CT, spine — sagittal reformat — scan covers 16 annotated vertebrae
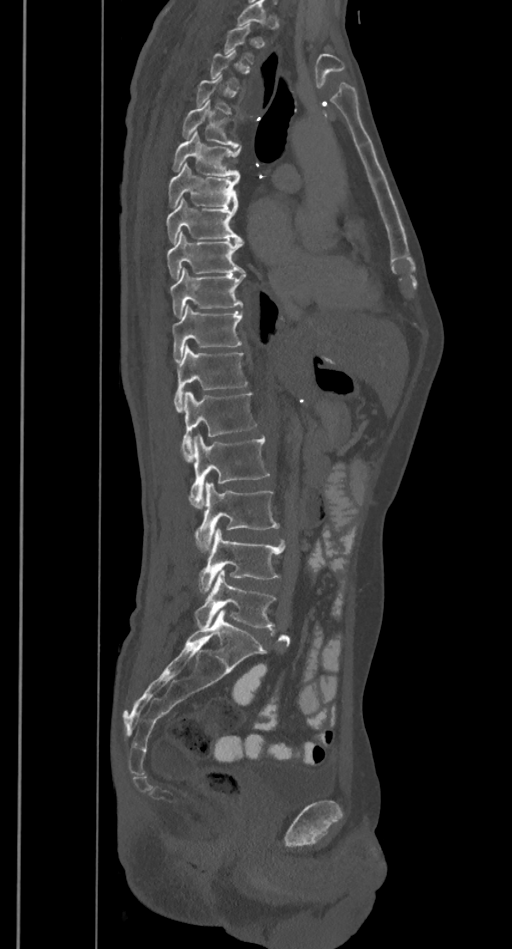 Boxes are (x1, y1, x2, y2) in pixels.
Not every vertebra on this slice has a box: a vertebra is boxed only from the first to the last slice where its cross-section is at least a third of its largest, and this slice is outside that range for at least one of them.
Vertebra bounding boxes:
- L5: (195, 570, 275, 627)
- L4: (198, 529, 285, 593)
- L3: (195, 482, 279, 552)
- L2: (189, 434, 270, 508)
- L1: (181, 391, 257, 461)
- T12: (174, 346, 248, 411)
- T11: (171, 304, 242, 360)
- T10: (170, 267, 245, 317)
- T9: (166, 232, 244, 278)
- T8: (166, 199, 242, 242)
- T7: (169, 162, 240, 207)
- T6: (173, 132, 241, 177)
- T5: (182, 101, 240, 146)